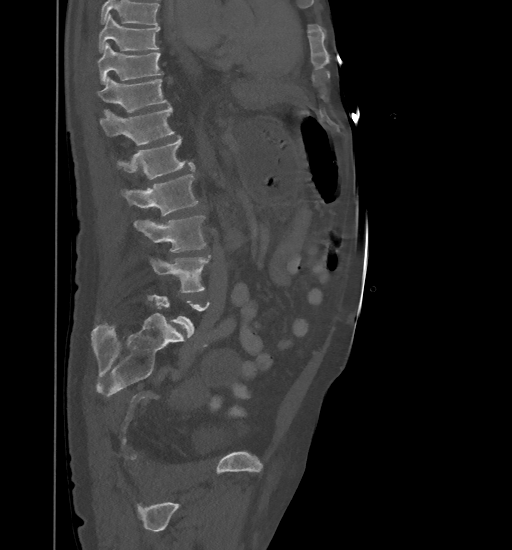
CT — sagittal view — bone window — 512x550 px

Coordinates as <box>x1,y1,x2,y2</box>. Each vertebra is boxed only on the slices from the first to the last where its cross-section reaches a third of its largest, so a slice outside that range leaves it unboxed. A vertebra cut off by the top edge of the scan is not labeled and has no box. Vertebrae labeled: T9 at <box>99,13,160,52</box>, T10 at <box>98,43,162,84</box>, T11 at <box>99,77,168,116</box>, T12 at <box>100,106,174,145</box>, L1 at <box>116,136,195,179</box>, L2 at <box>121,175,198,216</box>, L3 at <box>134,216,206,251</box>, L4 at <box>149,255,211,292</box>.